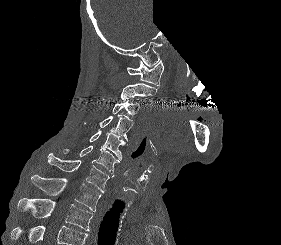
Spine CT · sagittal reformat · 281 mm across the image · bone-window reconstruction · some of the image was removed or blocked out with constant pixels

Vertebrae that run past the bottom of the scan are left unlabeled.
<vertebrae><v name="T2" x1="17" y1="198" x2="94" y2="230"/><v name="T1" x1="31" y1="175" x2="101" y2="211"/><v name="C7" x1="47" y1="153" x2="109" y2="192"/><v name="C6" x1="63" y1="146" x2="119" y2="177"/><v name="C5" x1="89" y1="129" x2="125" y2="160"/><v name="C4" x1="84" y1="113" x2="133" y2="144"/><v name="C3" x1="112" y1="101" x2="140" y2="116"/><v name="C2" x1="120" y1="83" x2="157" y2="100"/><v name="C1" x1="127" y1="59" x2="163" y2="88"/></vertebrae>